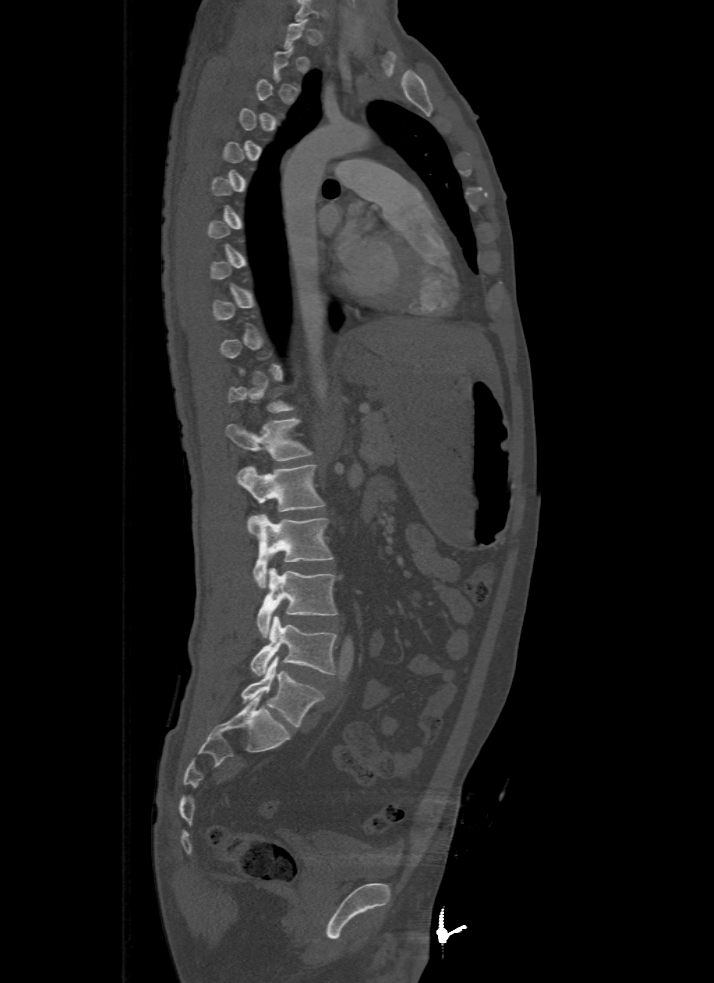
Spine computed tomography; sagittal view; W/L 1800/400 HU
Each vertebra is boxed only on the slices from the first to the last where its cross-section reaches a third of its largest, so a slice outside that range leaves it unboxed.
<vertebrae><v name="T12" x1="226" y1="418" x2="311" y2="461"/><v name="L1" x1="237" y1="465" x2="324" y2="512"/><v name="L2" x1="248" y1="513" x2="334" y2="588"/><v name="L3" x1="255" y1="568" x2="338" y2="637"/><v name="L4" x1="250" y1="616" x2="338" y2="675"/><v name="L5" x1="241" y1="656" x2="323" y2="727"/></vertebrae>